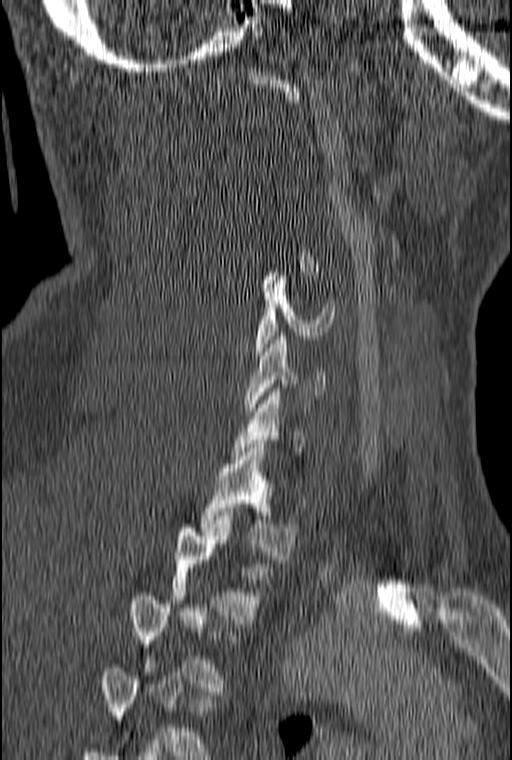
Spine computed tomography. sagittal reformat. Bone window (WL 400, WW 1800). Box edges are left/top/right/bottom in pixels.
A vertebra is boxed only from the first to the last slice where its cross-section is at least a third of its largest; slices outside that range leave it without a box.
| vertebra | x1 | y1 | x2 | y2 |
|---|---|---|---|---|
| C5 | 255 | 272 | 335 | 355 |
| C6 | 246 | 332 | 327 | 411 |
| T1 | 200 | 444 | 297 | 559 |
| T2 | 170 | 520 | 266 | 623 |